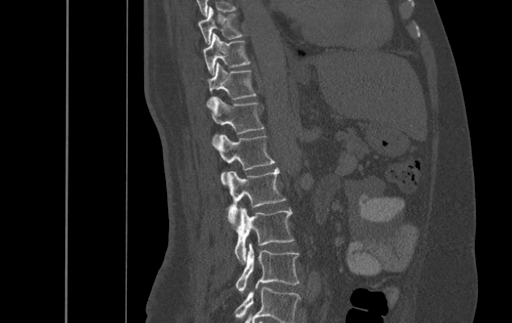
Spine computed tomography. sagittal view. 512x323 px. the image is 500 mm wide

Boxes are (x1, y1, x2, y2) in pixels.
In this scan, the topmost labeled vertebra is T9 and the lowest is L4.
T9: (198, 7, 242, 44)
T10: (203, 33, 250, 75)
T11: (207, 62, 255, 99)
T12: (206, 96, 264, 146)
L1: (216, 134, 274, 184)
L2: (226, 167, 286, 224)
L3: (235, 207, 294, 262)
L4: (236, 243, 299, 292)